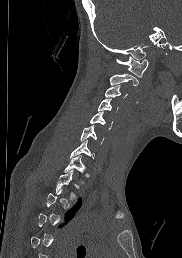

CT spine. sagittal reformat. 182 mm across the image
Each box given as x1,y1,x2,y2. Each vertebra is boxed only on the slices from the first to the last where its cross-section reaches a third of its largest, so a slice outside that range leaves it unboxed. 9 vertebrae labeled — C1 at x1=115, y1=56, x2=148, y2=77; C2 at x1=109, y1=73, x2=138, y2=85; C3 at x1=105, y1=85, x2=127, y2=98; C4 at x1=98, y1=99, x2=118, y2=111; C5 at x1=90, y1=112, x2=112, y2=129; C6 at x1=80, y1=125, x2=103, y2=143; C7 at x1=70, y1=139, x2=94, y2=158; T1 at x1=61, y1=155, x2=85, y2=173; T2 at x1=55, y1=170, x2=77, y2=199.